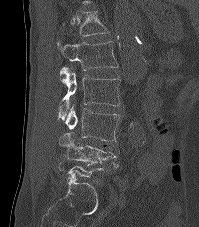
Spine CT; sagittal view

Boxes: x1:y1:x2:y2 in pixels. Each vertebra is boxed only on the slices from the first to the last where its cross-section reaches a third of its largest, so a slice outside that range leaves it unboxed. This scan's labels start at T12 at the top and end at L5 at the bottom. The labeled vertebrae in this slice are: L4 at 58:132:120:167, L3 at 65:105:119:141, L2 at 58:67:120:120, L1 at 56:41:118:70, T12 at 63:10:108:37.